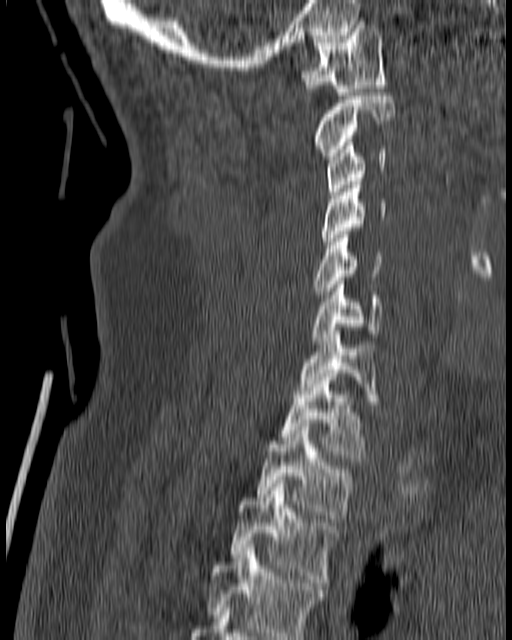

Spine computed tomography · sagittal view · bone-window reconstruction

Bounding boxes as [x1, y1, x2, y2] in pixel coordinates. Vertebrae labeled: C1 at [302, 21, 387, 95], C2 at [311, 92, 395, 159], C3 at [325, 139, 387, 195], C4 at [322, 178, 387, 248], C5 at [311, 235, 381, 294], C6 at [311, 281, 384, 344], C7 at [298, 331, 381, 404], T1 at [278, 377, 367, 461], T2 at [256, 423, 355, 522], T3 at [228, 480, 338, 586], T4 at [205, 544, 324, 639].